CT, spine. sagittal view. 392 mm wide. W/L 1800/400 HU
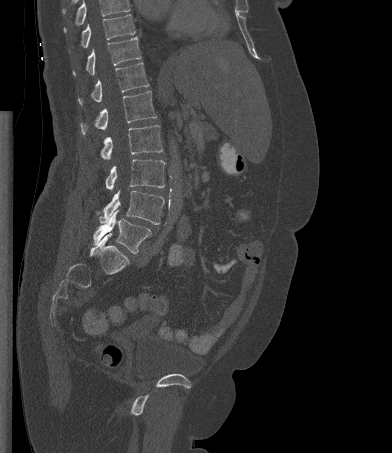
No box is given to a vertebra that the top edge of the scan cuts off.
<vertebrae><v name="T10" x1="81" y1="14" x2="135" y2="47"/><v name="T11" x1="73" y1="37" x2="141" y2="75"/><v name="T12" x1="78" y1="62" x2="149" y2="105"/><v name="L1" x1="80" y1="91" x2="156" y2="134"/><v name="L2" x1="101" y1="125" x2="162" y2="159"/><v name="L3" x1="105" y1="159" x2="165" y2="190"/><v name="L4" x1="99" y1="190" x2="164" y2="224"/><v name="L5" x1="93" y1="210" x2="151" y2="253"/></vertebrae>